CT, spine; sagittal reformat; Bone window (WL 400, WW 1800); image 461 mm wide; 8 vertebrae labeled in this scan
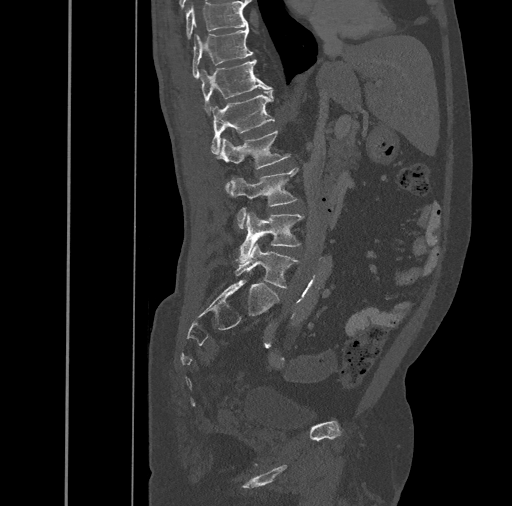
Each box given as x1,y1,x2,y2.
L5: x1=235, y1=243, x2=298, y2=288
L4: x1=237, y1=213, x2=303, y2=263
L3: x1=230, y1=167, x2=298, y2=228
L2: x1=217, y1=131, x2=289, y2=192
L1: x1=211, y1=90, x2=275, y2=154
T12: x1=200, y1=59, x2=272, y2=115
T11: x1=192, y1=27, x2=253, y2=78
T10: x1=186, y1=1, x2=248, y2=38